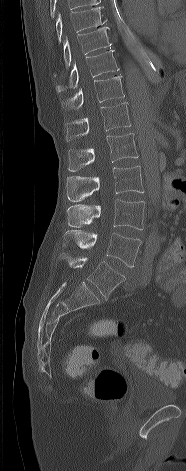
Spine computed tomography. sagittal view. 186 mm across the image. bone-window reconstruction. 186x471 px
<vertebrae><v name="T8" x1="56" y1="6" x2="108" y2="42"/><v name="T9" x1="53" y1="27" x2="112" y2="76"/><v name="T10" x1="55" y1="50" x2="119" y2="93"/><v name="T11" x1="60" y1="74" x2="124" y2="109"/><v name="T12" x1="64" y1="102" x2="131" y2="141"/><v name="L1" x1="68" y1="133" x2="138" y2="171"/><v name="L2" x1="66" y1="166" x2="143" y2="201"/><v name="L3" x1="67" y1="199" x2="144" y2="229"/><v name="L4" x1="63" y1="230" x2="141" y2="267"/><v name="L5" x1="59" y1="253" x2="125" y2="299"/></vertebrae>